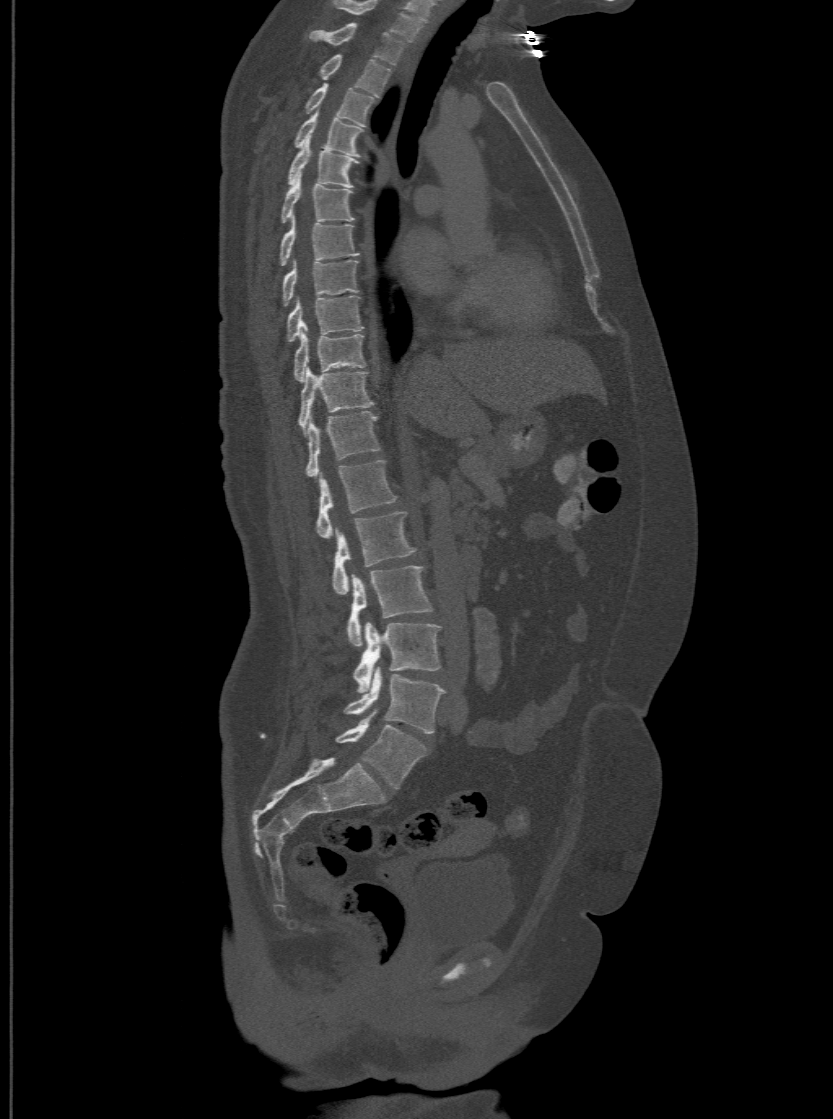 CT spine. image 500 mm wide. sagittal reformat
The highest labeled vertebra in this scan is T1; the lowest is L6.
In these labels the spine has an L6, a sixth lumbar vertebra below L5.
<vertebrae><v name="T1" x1="308" y1="22" x2="404" y2="64"/><v name="T2" x1="319" y1="53" x2="391" y2="94"/><v name="T3" x1="304" y1="82" x2="373" y2="126"/><v name="T4" x1="293" y1="112" x2="362" y2="156"/><v name="T5" x1="286" y1="138" x2="357" y2="186"/><v name="T6" x1="280" y1="177" x2="354" y2="221"/><v name="T7" x1="278" y1="217" x2="359" y2="264"/><v name="T8" x1="282" y1="258" x2="357" y2="304"/><v name="T9" x1="286" y1="295" x2="364" y2="341"/><v name="T10" x1="293" y1="325" x2="365" y2="381"/><v name="T11" x1="298" y1="367" x2="373" y2="432"/><v name="T12" x1="304" y1="410" x2="380" y2="476"/><v name="L1" x1="316" y1="458" x2="396" y2="537"/><v name="L2" x1="332" y1="510" x2="416" y2="593"/><v name="L3" x1="347" y1="566" x2="432" y2="645"/><v name="L4" x1="353" y1="623" x2="440" y2="692"/><v name="L5" x1="345" y1="668" x2="443" y2="733"/><v name="L6" x1="335" y1="711" x2="425" y2="788"/></vertebrae>